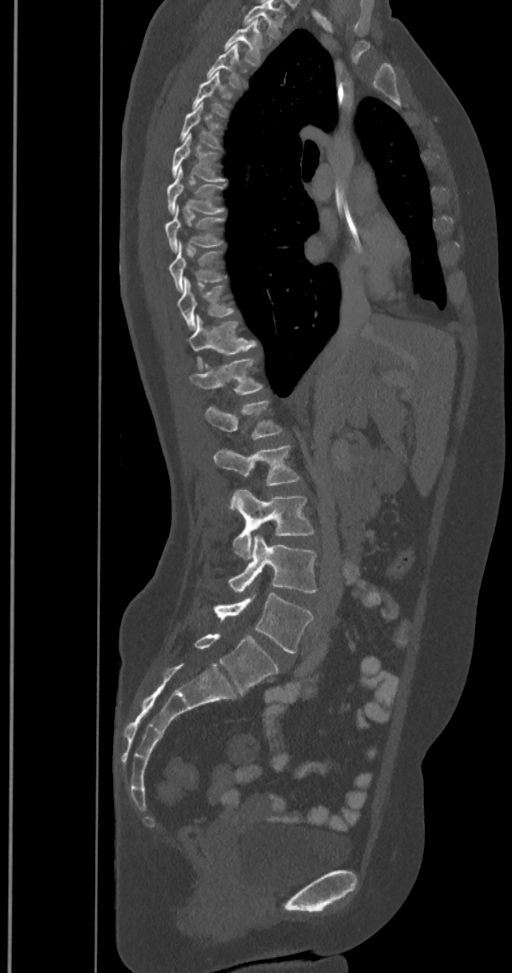
CT — sagittal view — bone-window reconstruction — 512x973 px
In the table, x1 and y1 are a box's top-left corner and x2 and y2 its bottom-right corner, in pixels.
In this scan, the topmost labeled vertebra is T2 and the lowest is L6.
In these labels the spine has an L6, a sixth lumbar vertebra below L5.
| vertebra | x1 | y1 | x2 | y2 |
|---|---|---|---|---|
| T2 | 224 | 21 | 266 | 65 |
| T3 | 206 | 45 | 247 | 89 |
| T4 | 191 | 71 | 233 | 116 |
| T5 | 180 | 103 | 221 | 149 |
| T6 | 171 | 132 | 227 | 181 |
| T7 | 167 | 167 | 226 | 212 |
| T8 | 165 | 205 | 226 | 250 |
| T9 | 169 | 242 | 227 | 290 |
| T10 | 177 | 278 | 236 | 331 |
| T11 | 188 | 315 | 256 | 369 |
| T12 | 190 | 358 | 264 | 394 |
| L1 | 205 | 400 | 283 | 440 |
| L2 | 213 | 445 | 300 | 509 |
| L3 | 232 | 488 | 315 | 559 |
| L4 | 228 | 536 | 318 | 593 |
| L5 | 213 | 594 | 313 | 653 |
| L6 | 193 | 633 | 278 | 693 |